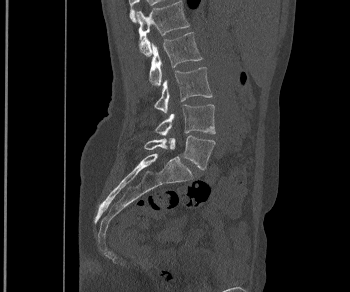 CT — sagittal view
In the table, x1 and y1 are a box's top-left corner and x2 and y2 its bottom-right corner, in pixels.
| vertebra | x1 | y1 | x2 | y2 |
|---|---|---|---|---|
| L1 | 136 | 1 | 189 | 55 |
| L2 | 149 | 32 | 202 | 86 |
| L3 | 154 | 67 | 212 | 113 |
| L4 | 155 | 104 | 215 | 135 |
| L5 | 144 | 135 | 215 | 169 |